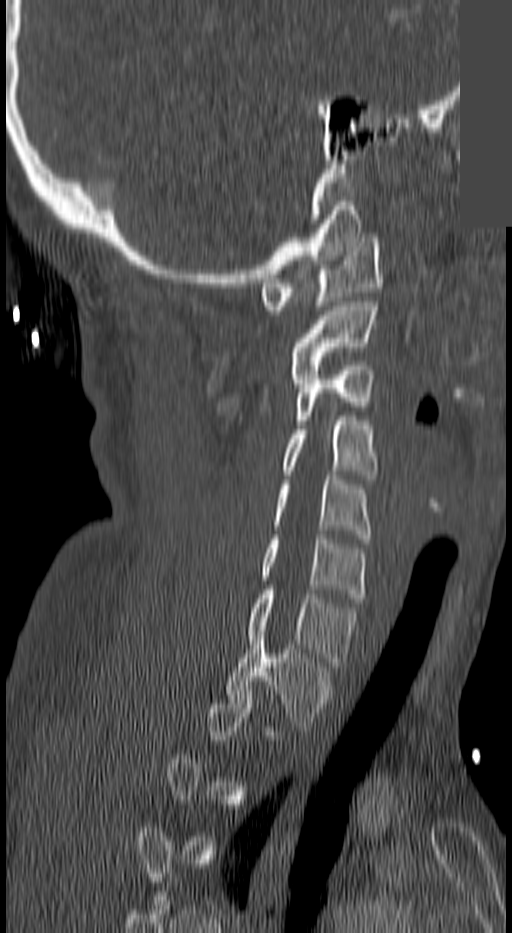

CT spine. sagittal view. bone window. 512x933 px. a region is masked with a constant gray value
Each vertebra maps to its box as [x1, y1, x2, y2], the pixel coordinates of its top-left and bottom-right corners.
A vertebra is boxed only from the first to the last slice where its cross-section is at least a third of its largest; slices outside that range leave it without a box.
{"vertebrae":{"C1":[261,238,381,314],"C2":[290,302,377,378],"C3":[294,361,373,424],"C4":[283,416,377,479],"C5":[272,475,370,538],"C6":[261,535,366,602],"C7":[246,590,355,666],"T1":[225,635,329,730]}}